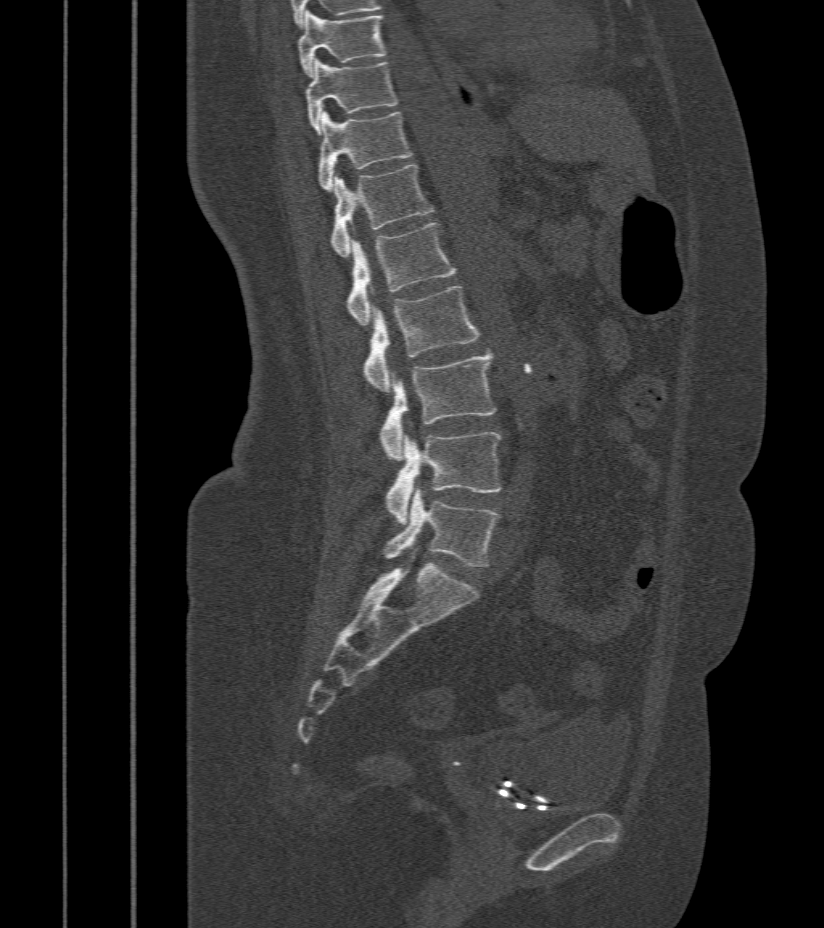

CT — sagittal reformat — 412 mm image width — Bone window (WL 400, WW 1800) — 824x928 px
Bounding boxes as [x1, y1, x2, y2] in pixel coordinates.
Vertebra bounding boxes:
- T9: [298, 11, 385, 76]
- T10: [306, 59, 397, 134]
- T11: [317, 111, 413, 191]
- T12: [330, 165, 434, 258]
- L1: [346, 223, 456, 326]
- L2: [364, 287, 479, 392]
- L3: [380, 351, 496, 460]
- L4: [386, 433, 501, 524]
- L5: [383, 489, 500, 566]